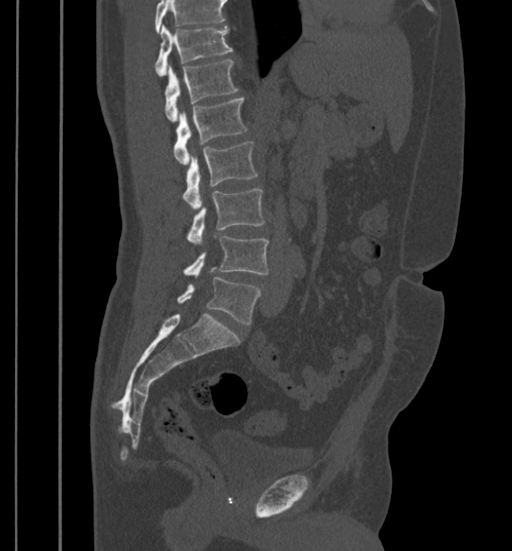

Computed tomography of the spine. sagittal view. 512x551 px
Each box given as x1,y1,x2,y2.
Where the top of the scan cuts through a vertebra, that vertebra gets no label or box.
L5: x1=177, y1=277, x2=261, y2=324
L4: x1=183, y1=236, x2=268, y2=276
L3: x1=187, y1=188, x2=264, y2=243
L2: x1=182, y1=141, x2=257, y2=209
L1: x1=173, y1=98, x2=247, y2=164
T12: x1=165, y1=60, x2=238, y2=122
T11: x1=155, y1=26, x2=232, y2=76